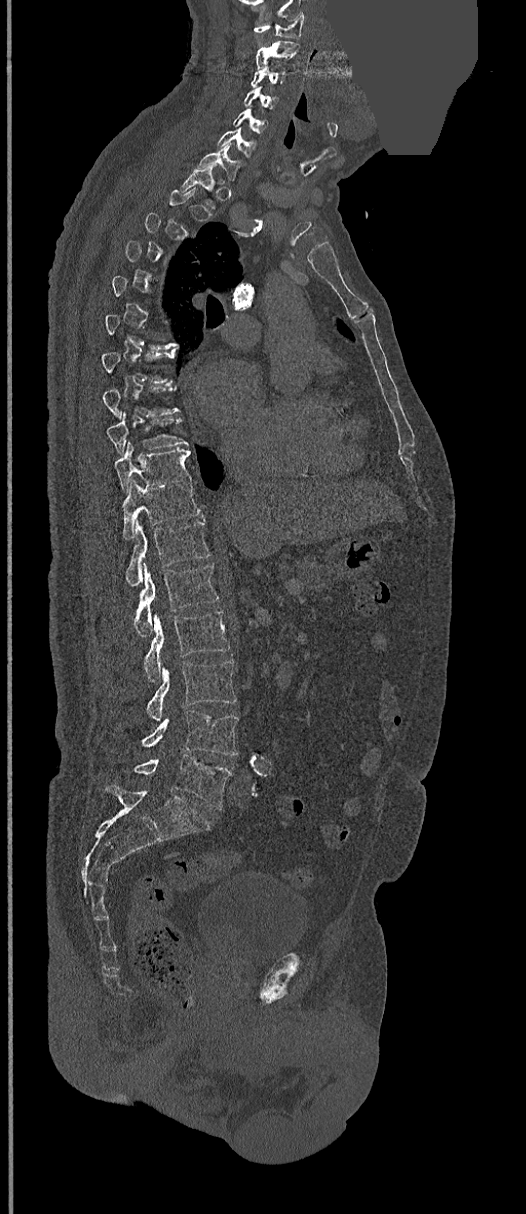
CT spine; sagittal view; W/L 1800/400 HU; some of the image was removed or blocked out with constant pixels

Boxes are given in columns x1, y1, x2, y2, the pixel coordinates of their top-left and bottom-right corners.
A vertebra gets a box only on the slices from the first to the last where its cross-section is at least a third of its largest; on a slice outside that range it gets none.
| vertebra | x1 | y1 | x2 | y2 |
|---|---|---|---|---|
| L5 | 135 | 754 | 232 | 809 |
| L4 | 142 | 710 | 237 | 755 |
| L3 | 147 | 661 | 236 | 722 |
| L2 | 143 | 611 | 229 | 683 |
| L1 | 135 | 564 | 219 | 636 |
| T12 | 125 | 519 | 211 | 586 |
| T11 | 122 | 479 | 200 | 539 |
| T10 | 114 | 441 | 190 | 490 |
| T9 | 106 | 413 | 187 | 453 |
| C7 | 198 | 144 | 239 | 179 |
| C6 | 217 | 127 | 256 | 158 |
| C5 | 233 | 109 | 267 | 133 |
| C4 | 244 | 87 | 277 | 109 |
| C3 | 252 | 68 | 284 | 86 |
| C2 | 256 | 40 | 299 | 68 |
| C1 | 254 | 13 | 305 | 39 |